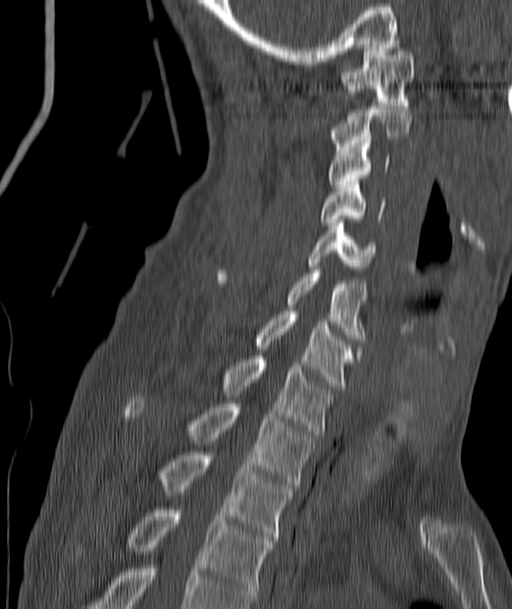
Spine computed tomography. sagittal view. W/L 1800/400 HU. 187 mm wide
Box values are [left, top, right, bottom] in pixels.
{"vertebrae":{"C1":[343,48,413,105],"C2":[332,106,411,150],"C3":[329,144,389,187],"C4":[321,181,383,225],"C5":[310,219,376,269],"C6":[220,270,367,341],"C7":[255,311,356,389],"T1":[225,356,331,437],"T2":[124,397,315,488],"T3":[162,452,293,540],"T4":[130,507,271,601]}}